Spine computed tomography; sagittal reformat
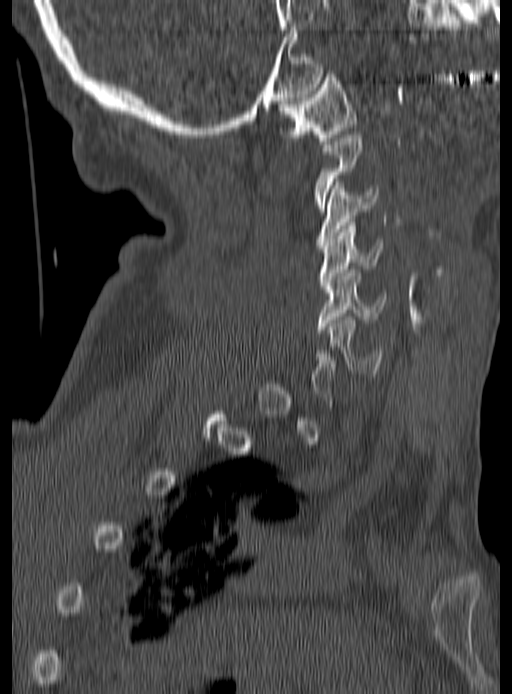 Boxes below are [x1, y1, x2, y2] in pixels.
Each vertebra is boxed only on the slices from the first to the last where its cross-section reaches a third of its largest, so a slice outside that range leaves it unboxed.
{"vertebrae":{"C1":[279,74,357,144],"C3":[315,182,378,245],"C4":[318,222,383,289],"C5":[316,269,385,332],"C6":[327,317,383,376]}}